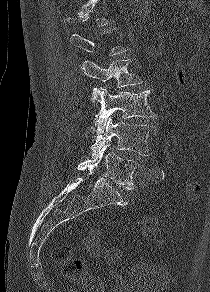

CT spine · sagittal view
Coordinates as <box>x1,y1,x2,y2</box>. Not every vertebra on this slice has a box: a vertebra is boxed only from the first to the last slice where its cross-section is at least a third of its largest, and this slice is outside that range for at least one of them. The labeled vertebrae in this slice are: L2 at <box>81,59,142,105</box>, L3 at <box>93,87,155,133</box>, L4 at <box>91,115,152,155</box>, L5 at <box>77,144,136,190</box>.